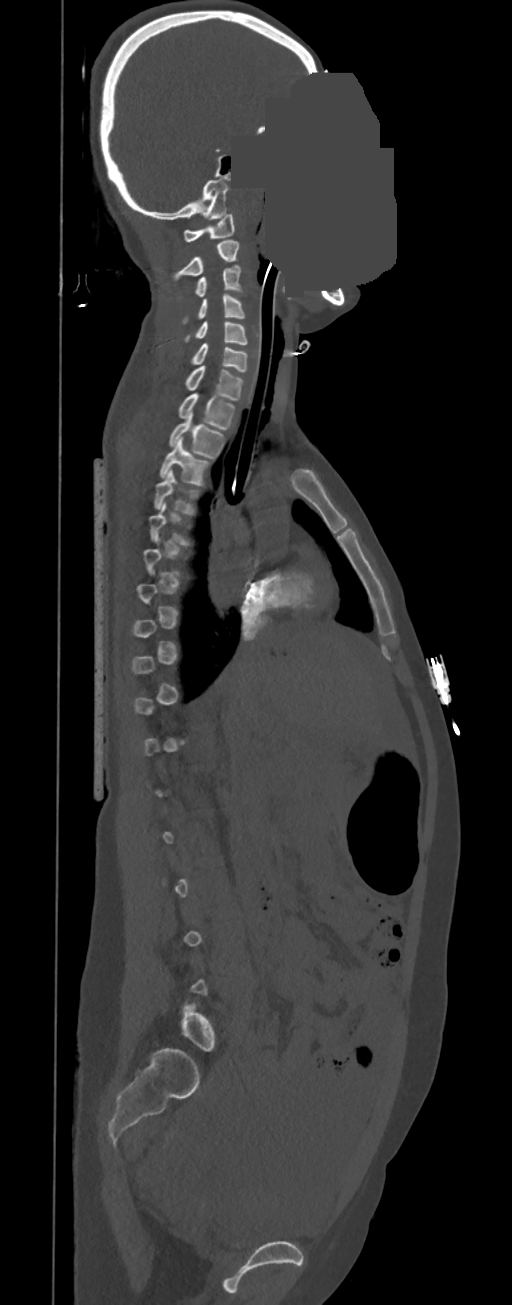
CT spine — sagittal view — Bone window (WL 400, WW 1800) — a region of this slice is masked with a uniform fill
Each box is [x1, y1, x2, y2] in pixels: top-left corner, then bottom-right corner.
A vertebra gets a box only on the slices from the first to the last where its cross-section is at least a third of its largest; on a slice outside that range it gets none.
{"vertebrae":{"T4":[154,469,200,514],"T3":[161,437,208,485],"T2":[169,412,224,457],"T1":[178,392,234,430],"C7":[186,365,243,401],"C6":[193,342,247,372],"C5":[184,321,247,344],"C4":[183,294,243,323],"C3":[196,265,243,297],"C2":[173,240,239,279],"C1":[183,213,234,241]}}